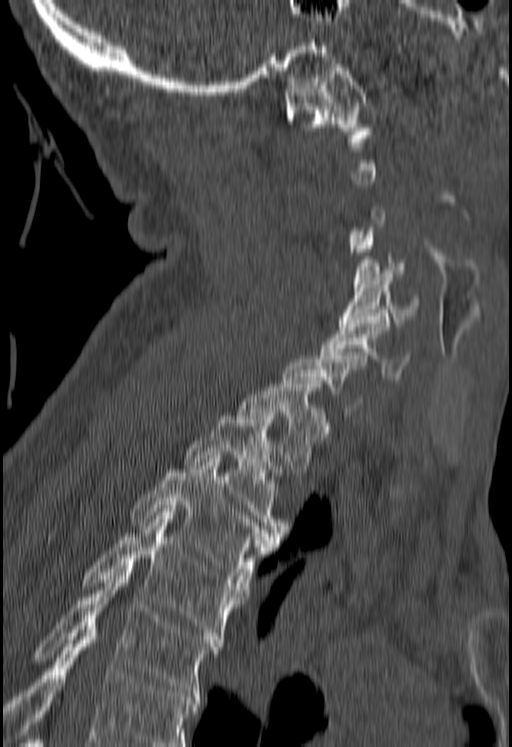 CT spine — sagittal view — 180 mm across the image

Bounding boxes as [x1, y1, x2, y2] in pixel coordinates.
A vertebra is boxed only from the first to the last slice where its cross-section is at least a third of its largest; slices outside that range leave it without a box.
Where the bottom of the scan cuts through a vertebra, that vertebra gets no label or box.
T5: [9, 569, 222, 696]
T4: [78, 512, 245, 643]
T3: [129, 459, 279, 586]
T2: [183, 416, 285, 539]
T1: [237, 384, 328, 472]
C6: [322, 316, 409, 379]
C5: [338, 270, 419, 326]
C4: [352, 228, 410, 291]
C1: [284, 64, 371, 141]